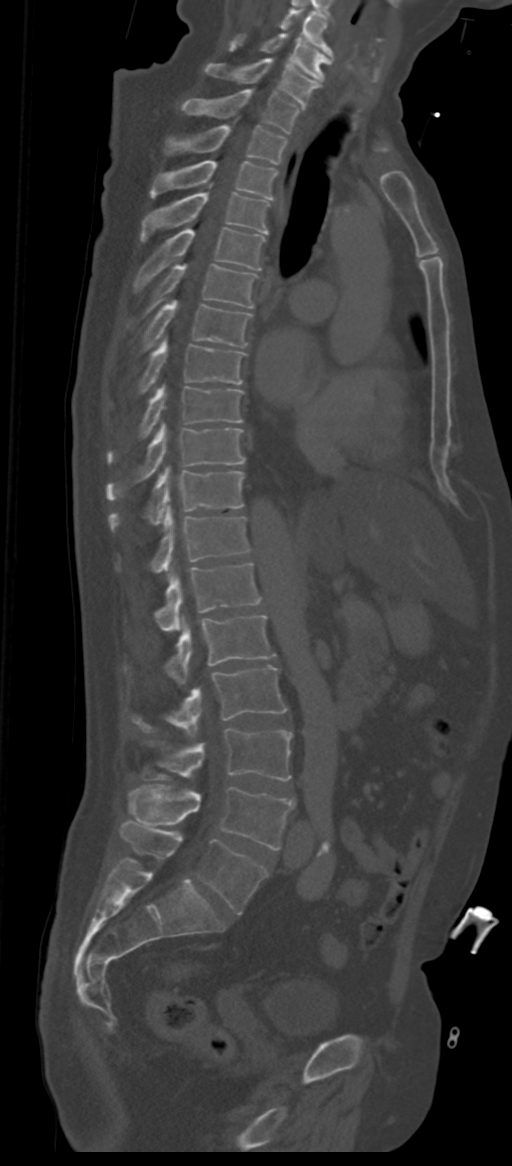
CT spine. sagittal view
Each vertebra maps to its box as [x1, y1, x2, y2], the pixel coordinates of its top-left and bottom-right corners.
In these labels the spine has an L6, a sixth lumbar vertebra below L5.
{"vertebrae":{"L6":[121,820,268,915],"L5":[127,784,294,849],"L4":[142,728,292,780],"L3":[132,666,287,735],"L2":[165,615,274,684],"L1":[155,564,259,632],"T12":[117,508,250,572],"T11":[109,466,245,530],"T10":[107,424,245,500],"T9":[107,384,243,464],"T8":[137,338,245,393],"T7":[140,300,251,350],"T6":[145,264,256,312],"T5":[135,228,264,289],"T4":[140,191,269,240],"T3":[150,160,278,199],"T2":[165,125,286,164],"T1":[181,89,299,133],"C7":[204,58,320,106],"C6":[229,33,330,82],"C5":[279,9,332,57]}}